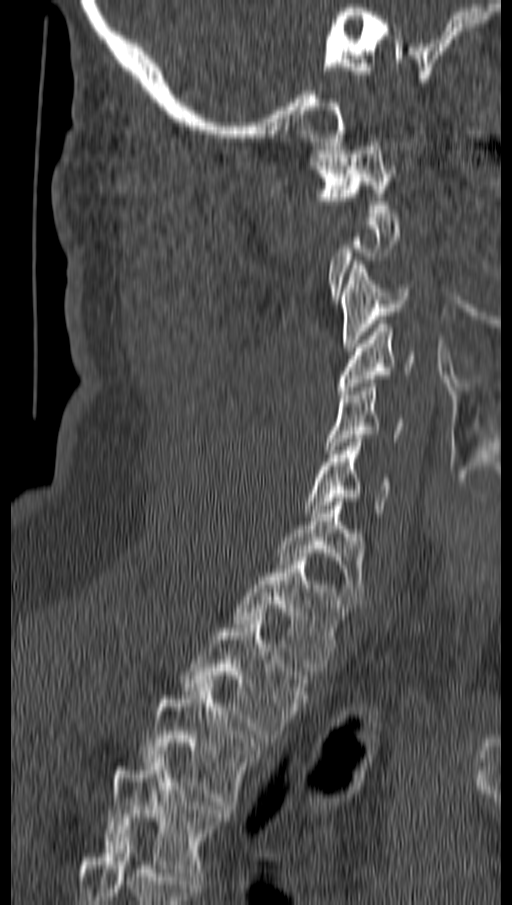
Computed tomography of the spine. sagittal view
Not every vertebra on this slice has a box: a vertebra is boxed only from the first to the last slice where its cross-section is at least a third of its largest, and this slice is outside that range for at least one of them.
<vertebrae><v name="C1" x1="311" y1="138" x2="395" y2="216"/><v name="C3" x1="342" y1="261" x2="411" y2="351"/><v name="C4" x1="338" y1="320" x2="415" y2="394"/><v name="C5" x1="327" y1="379" x2="402" y2="453"/><v name="C6" x1="304" y1="439" x2="391" y2="517"/><v name="C7" x1="276" y1="502" x2="364" y2="603"/><v name="T1" x1="235" y1="557" x2="345" y2="675"/><v name="T2" x1="181" y1="616" x2="307" y2="738"/><v name="T3" x1="143" y1="683" x2="259" y2="805"/><v name="T4" x1="105" y1="755" x2="228" y2="880"/></vertebrae>